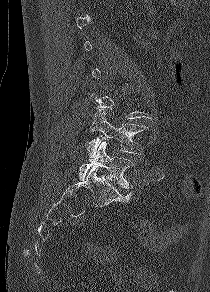 CT spine · sagittal view · bone-window reconstruction · 210x292 px
Each box given as x1,y1,x2,y2.
A vertebra is boxed only from the first to the last slice where its cross-section is at least a third of its largest; slices outside that range leave it without a box.
Vertebra bounding boxes:
- L5: x1=79, y1=141, x2=134, y2=189
- L4: x1=87, y1=109, x2=147, y2=160